CT spine; sagittal view; 207x253 px; image 207 mm wide
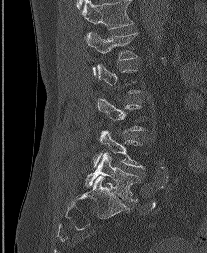 A vertebra gets a box only on the slices from the first to the last where its cross-section is at least a third of its largest; on a slice outside that range it gets none.
In this scan, the topmost labeled vertebra is L1 and the lowest is L5.
<vertebrae><v name="L5" x1="85" y1="153" x2="139" y2="201"/><v name="L4" x1="94" y1="130" x2="143" y2="167"/><v name="L1" x1="86" y1="32" x2="137" y2="77"/></vertebrae>